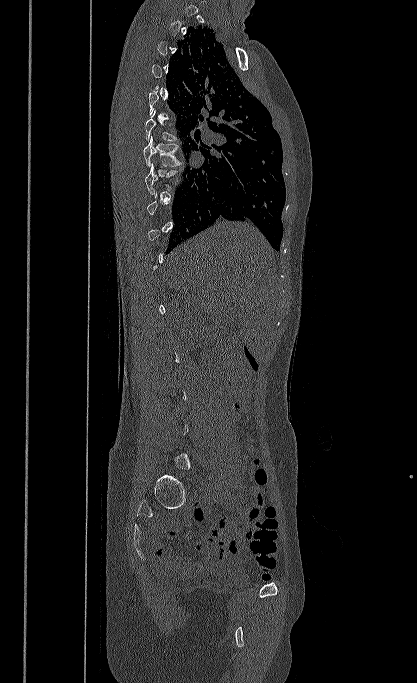
CT spine · sagittal reformat · 417 mm image width

Coordinates as <box>x1,y1,x2,y2</box>.
Not every vertebra on this slice has a box: a vertebra is boxed only from the first to the last slice where its cross-section is at least a third of its largest, and this slice is outside that range for at least one of them.
T8: <box>145,163,177,194</box>
T7: <box>143,136,182,167</box>